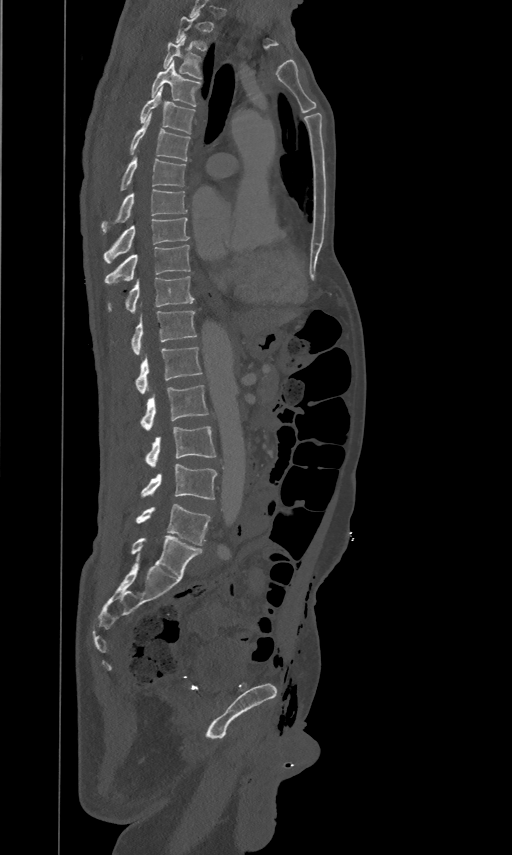 Spine CT. sagittal view

Boxes below are [x1, y1, x2, y2] in pixels.
In this scan, the topmost labeled vertebra is T2 and the lowest is L5.
{"vertebrae":{"T2":[175,13,206,50],"T3":[164,36,202,78],"T4":[151,60,200,106],"T5":[139,86,194,133],"T6":[130,113,190,160],"T7":[120,155,186,189],"T8":[101,189,187,232],"T9":[104,216,189,262],"T10":[105,244,190,283],"T11":[108,275,193,312],"T12":[131,310,197,354],"L1":[135,346,201,393],"L2":[140,384,207,430],"L3":[145,425,215,467],"L4":[141,464,216,500],"L5":[136,504,210,545]}}